Computed tomography of the spine; the image is 350 mm wide; sagittal view; W/L 1800/400 HU; 512x712 px
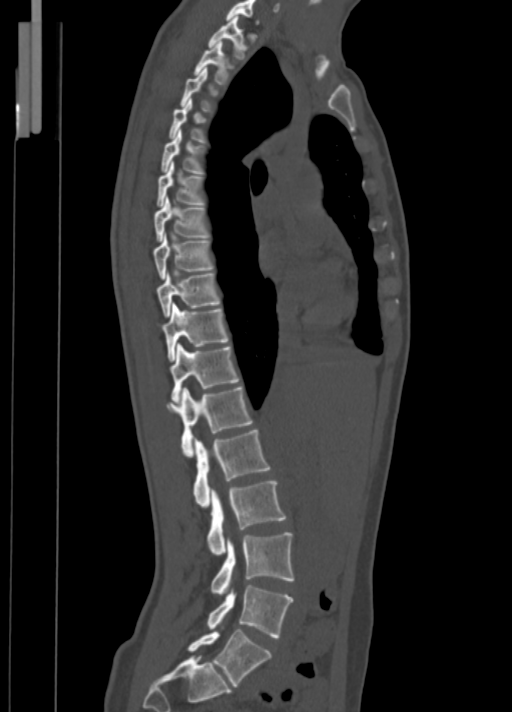 Boxes are given in columns x1, y1, x2, y2, the pixel coordinates of their top-left and bottom-right corners.
| vertebra | x1 | y1 | x2 | y2 |
|---|---|---|---|---|
| L5 | 187 | 629 | 271 | 685 |
| L4 | 207 | 585 | 293 | 638 |
| L3 | 210 | 532 | 294 | 594 |
| L2 | 206 | 480 | 285 | 555 |
| L1 | 193 | 429 | 271 | 507 |
| T12 | 167 | 386 | 253 | 457 |
| T11 | 171 | 344 | 240 | 401 |
| T10 | 162 | 303 | 228 | 362 |
| T9 | 158 | 271 | 221 | 316 |
| T8 | 153 | 233 | 214 | 278 |
| T7 | 153 | 196 | 209 | 240 |
| T6 | 156 | 161 | 205 | 205 |
| T5 | 161 | 129 | 205 | 173 |
| T4 | 168 | 99 | 206 | 142 |
| T3 | 180 | 67 | 218 | 112 |
| T2 | 193 | 41 | 234 | 84 |
| T1 | 207 | 16 | 247 | 59 |
| C7 | 225 | 0 | 259 | 24 |